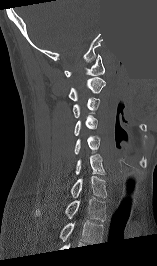
Spine computed tomography · sagittal view · 157x266 px · some of the image was removed or blocked out with constant pixels
In this scan, the topmost labeled vertebra is C1 and the lowest is T1.
<vertebrae><v name="C1" x1="64" y1="54" x2="104" y2="77"/><v name="C2" x1="68" y1="77" x2="105" y2="101"/><v name="C3" x1="72" y1="97" x2="100" y2="118"/><v name="C4" x1="74" y1="115" x2="97" y2="135"/><v name="C5" x1="74" y1="135" x2="100" y2="154"/><v name="C6" x1="75" y1="154" x2="105" y2="174"/><v name="C7" x1="70" y1="176" x2="106" y2="198"/><v name="T1" x1="36" y1="197" x2="106" y2="221"/></vertebrae>